CT, spine · Sagittal slice 278/512
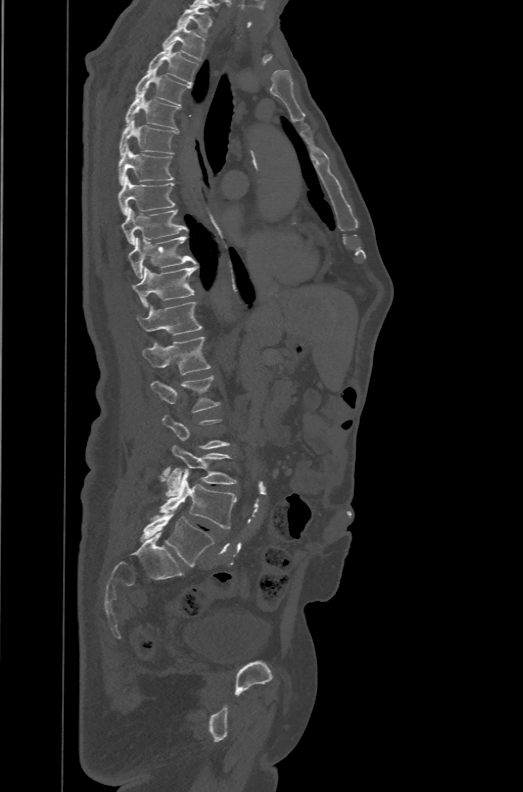
Each row gives a vertebra's box as x1, y1, x2, y2 in pixels: top-left corner, then bottom-right corner.
A vertebra gets a box only on the slices from the first to the last where its cross-section is at least a third of its largest; on a slice outside that range it gets none.
These labels give the spine a sixth lumbar vertebra, L6, below L5.
| vertebra | x1 | y1 | x2 | y2 |
|---|---|---|---|---|
| T1 | 177 | 5 | 212 | 35 |
| T2 | 163 | 24 | 204 | 60 |
| T3 | 147 | 42 | 198 | 84 |
| T4 | 136 | 68 | 190 | 105 |
| T5 | 125 | 92 | 180 | 129 |
| T6 | 119 | 119 | 177 | 155 |
| T7 | 118 | 144 | 174 | 184 |
| T8 | 118 | 176 | 175 | 215 |
| T9 | 121 | 206 | 188 | 245 |
| T10 | 128 | 236 | 196 | 278 |
| T11 | 132 | 266 | 198 | 305 |
| T12 | 136 | 302 | 201 | 335 |
| L1 | 142 | 336 | 210 | 374 |
| L2 | 150 | 375 | 219 | 412 |
| L4 | 165 | 445 | 237 | 497 |
| L5 | 158 | 466 | 237 | 528 |
| L6 | 140 | 511 | 214 | 567 |